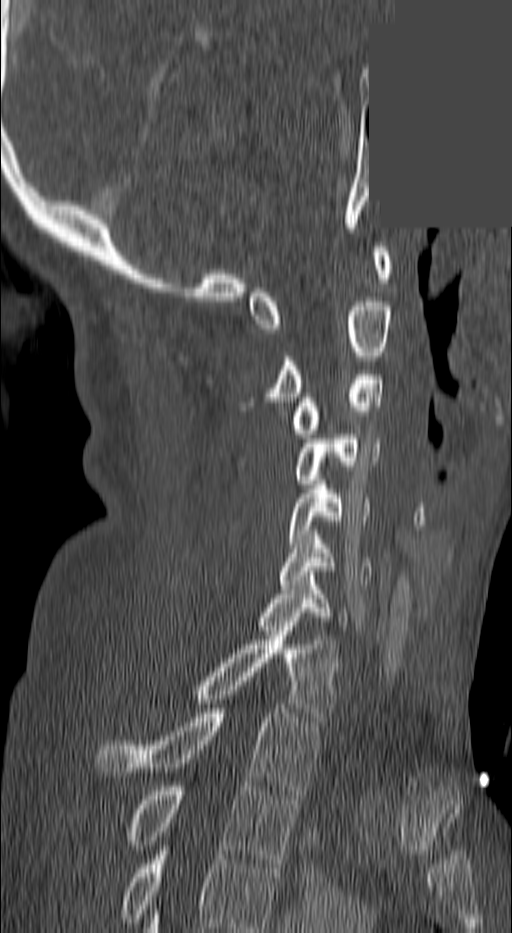 Spine computed tomography — sagittal reformat — 140 mm wide — bone-window reconstruction — part of the image is a flat gray fill, not anatomy

In this scan, the topmost labeled vertebra is C1 and the lowest is T3.
<vertebrae><v name="C1" x1="248" y1="247" x2="392" y2="328"/><v name="C2" x1="272" y1="302" x2="392" y2="401"/><v name="C3" x1="293" y1="375" x2="384" y2="438"/><v name="C4" x1="293" y1="434" x2="381" y2="484"/><v name="C5" x1="287" y1="480" x2="370" y2="548"/><v name="C6" x1="279" y1="535" x2="373" y2="589"/><v name="C7" x1="257" y1="576" x2="348" y2="630"/><v name="T1" x1="199" y1="631" x2="337" y2="721"/><v name="T2" x1="96" y1="709" x2="319" y2="794"/><v name="T3" x1="133" y1="782" x2="297" y2="863"/></vertebrae>